CT, spine; sagittal view
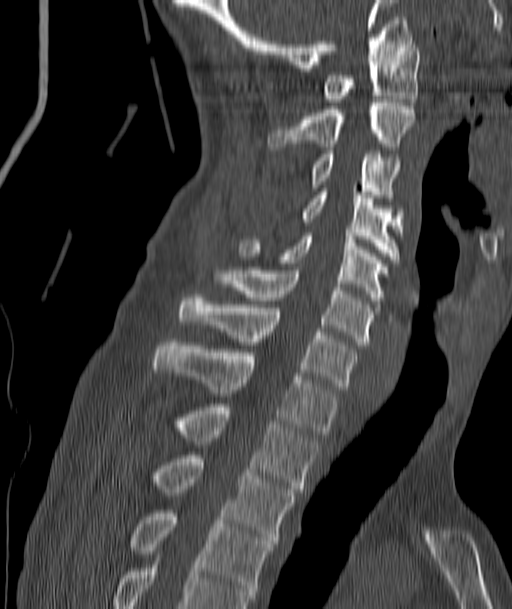 Bounding boxes as [x1, y1, x2, y2] in pixel coordinates.
C1: [321, 41, 419, 102]
C2: [269, 99, 415, 150]
C3: [310, 151, 400, 204]
C4: [299, 188, 402, 259]
C5: [239, 233, 389, 300]
C6: [217, 270, 372, 345]
C7: [179, 294, 356, 389]
T1: [154, 342, 337, 437]
T2: [179, 407, 317, 492]
T3: [157, 455, 293, 543]
T4: [132, 510, 274, 601]